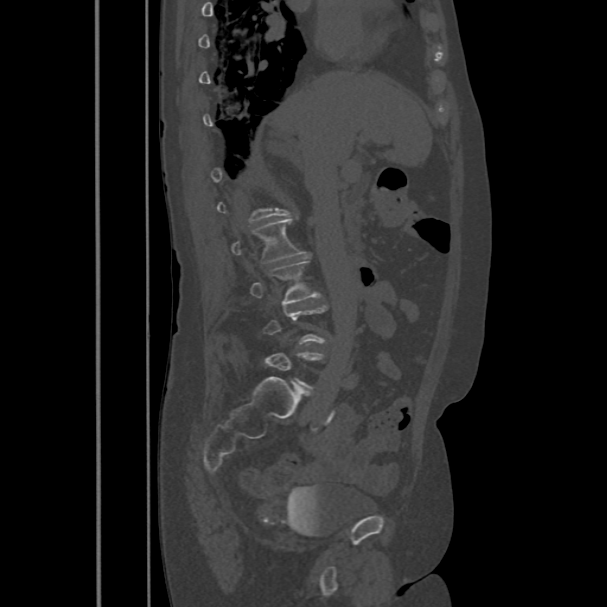

CT. sagittal view. Bone window (WL 400, WW 1800). 486 mm across the image
Each vertebra is boxed only on the slices from the first to the last where its cross-section reaches a third of its largest, so a slice outside that range leaves it unboxed.
<vertebrae><v name="L2" x1="231" y1="218" x2="305" y2="262"/><v name="L3" x1="250" y1="257" x2="319" y2="305"/></vertebrae>